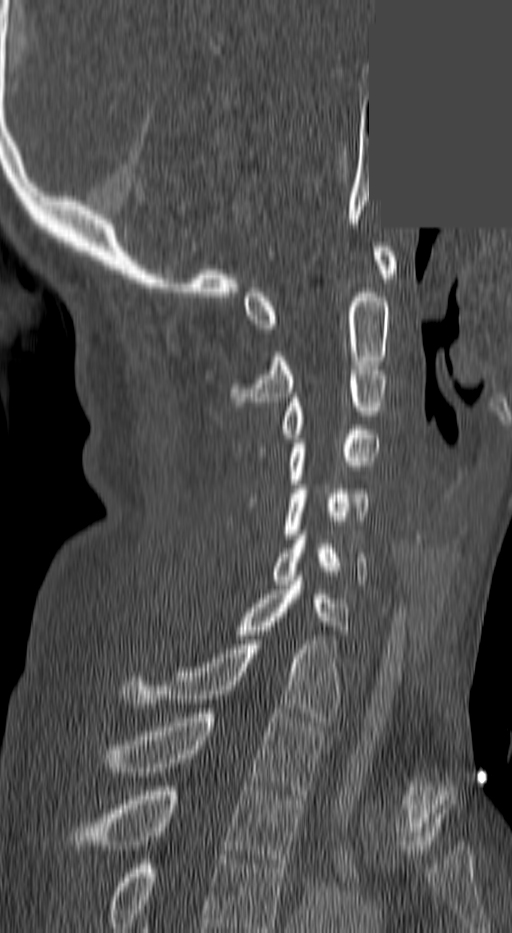
CT, spine. sagittal view. Bone window (WL 400, WW 1800). 512x933 px. an area of the scan was removed and filled with constant pixels
This scan's labels start at C1 at the top and end at T3 at the bottom.
<vertebrae><v name="C1" x1="243" y1="247" x2="395" y2="333"/><v name="C2" x1="232" y1="288" x2="388" y2="401"/><v name="C3" x1="260" y1="366" x2="388" y2="452"/><v name="C4" x1="284" y1="430" x2="377" y2="484"/><v name="C5" x1="277" y1="485" x2="370" y2="538"/><v name="C6" x1="272" y1="535" x2="368" y2="584"/><v name="C7" x1="235" y1="576" x2="348" y2="639"/><v name="T1" x1="122" y1="640" x2="340" y2="721"/><v name="T2" x1="107" y1="709" x2="322" y2="794"/><v name="T3" x1="67" y1="786" x2="304" y2="868"/></vertebrae>